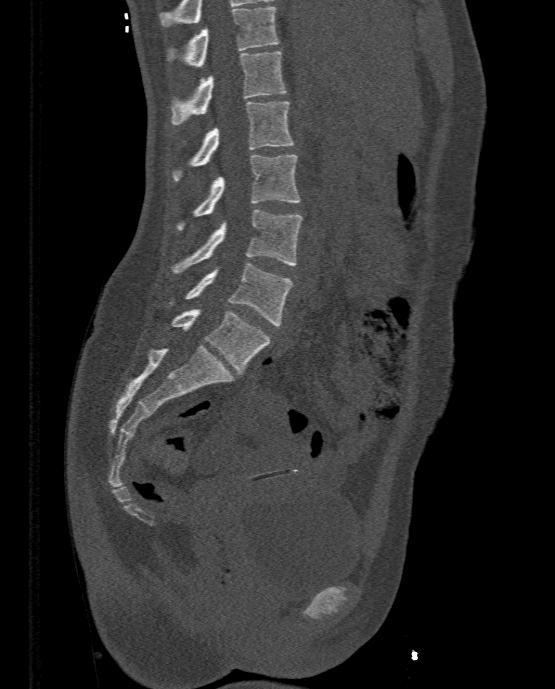
Computed tomography of the spine. sagittal view
Bounding boxes as [x1, y1, x2, y2] in pixel coordinates. Vertebrae labeled: T11 at [168, 6, 279, 66], T12 at [171, 51, 285, 124], L1 at [173, 101, 294, 180], L2 at [177, 154, 300, 230], L3 at [173, 210, 303, 272], L4 at [169, 262, 293, 325], L5 at [171, 309, 270, 373].